Spine CT · sagittal plane, index 277 · 512x712 px · scan covers 18 annotated vertebrae
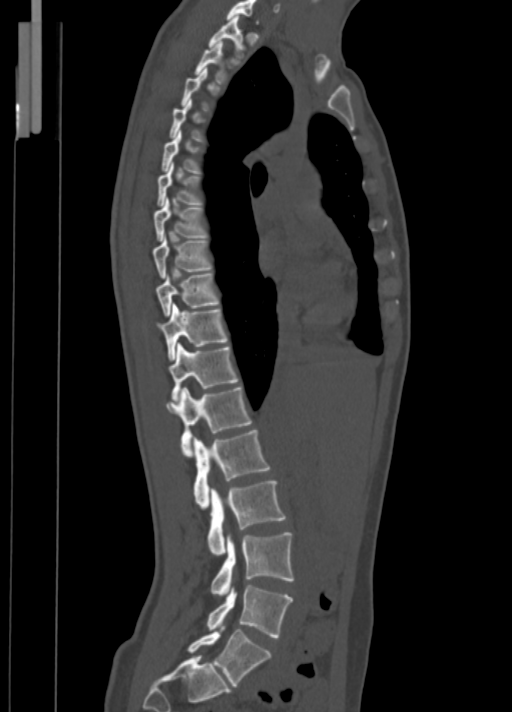
Box edges are left/top/right/bottom in pixels.
Not every vertebra on this slice has a box: a vertebra is boxed only from the first to the last slice where its cross-section is at least a third of its largest, and this slice is outside that range for at least one of them.
Vertebra bounding boxes:
- C7: left=227, top=0, right=258, bottom=22
- T1: left=207, top=15, right=243, bottom=59
- T2: left=194, top=41, right=227, bottom=84
- T5: left=162, top=130, right=199, bottom=173
- T6: left=157, top=162, right=202, bottom=205
- T7: left=153, top=197, right=206, bottom=240
- T8: left=152, top=237, right=211, bottom=278
- T9: left=156, top=274, right=220, bottom=316
- T10: left=158, top=303, right=228, bottom=360
- T11: left=168, top=344, right=239, bottom=400
- T12: left=167, top=386, right=252, bottom=457
- L1: left=193, top=430, right=269, bottom=508
- L2: left=207, top=480, right=285, bottom=555
- L3: left=210, top=532, right=294, bottom=596
- L4: left=207, top=585, right=293, bottom=638
- L5: left=187, top=626, right=271, bottom=685